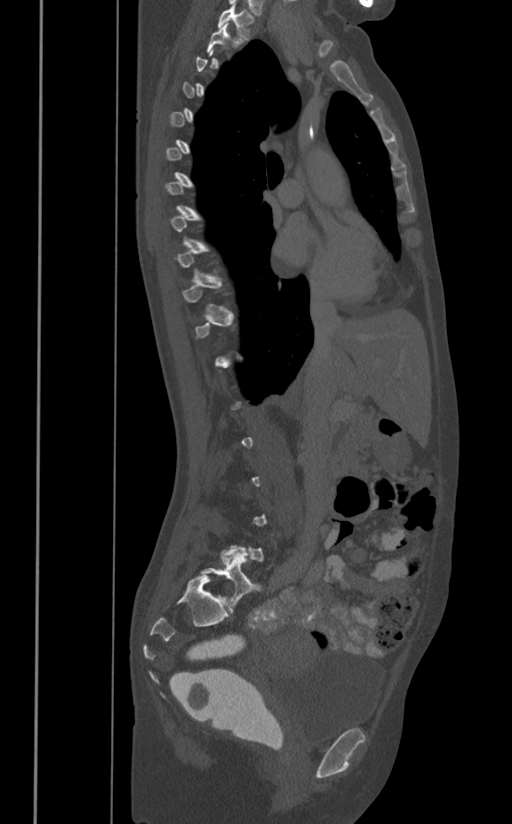 Computed tomography of the spine — sagittal view — W/L 1800/400 HU
Each vertebra is boxed only on the slices from the first to the last where its cross-section reaches a third of its largest, so a slice outside that range leaves it unboxed.
<vertebrae><v name="T1" x1="217" y1="4" x2="254" y2="40"/><v name="T2" x1="207" y1="21" x2="238" y2="53"/></vertebrae>